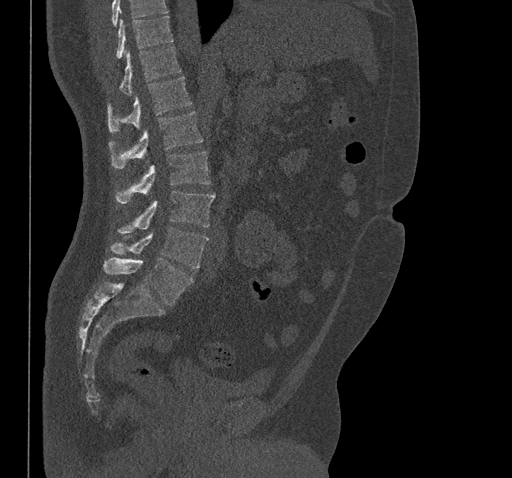
CT, spine · sagittal view · 512x478 px

Where the top of the scan cuts through a vertebra, that vertebra gets no label or box.
<vertebrae><v name="T10" x1="116" y1="16" x2="173" y2="58"/><v name="T11" x1="119" y1="47" x2="181" y2="95"/><v name="T12" x1="107" y1="77" x2="192" y2="133"/><v name="L1" x1="109" y1="111" x2="203" y2="168"/><v name="L2" x1="114" y1="151" x2="210" y2="203"/><v name="L3" x1="118" y1="191" x2="215" y2="233"/><v name="L4" x1="110" y1="227" x2="208" y2="268"/><v name="L5" x1="103" y1="257" x2="193" y2="306"/></vertebrae>